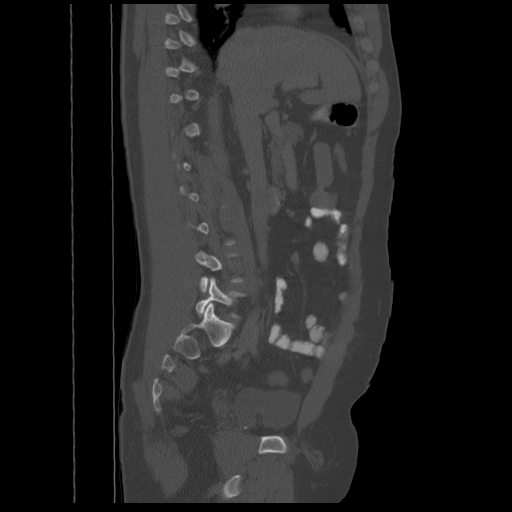
Spine CT. sagittal view. W/L 1800/400 HU
Boxes are given in columns x1, y1, x2, y2, the pixel coordinates of their top-left and bottom-right corners.
Each vertebra is boxed only on the slices from the first to the last where its cross-section reaches a third of its largest, so a slice outside that range leaves it unboxed.
| vertebra | x1 | y1 | x2 | y2 |
|---|---|---|---|---|
| L4 | 195 | 251 | 243 | 291 |
| L5 | 195 | 277 | 245 | 318 |